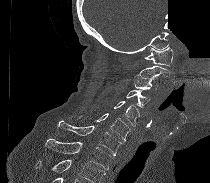 CT · sagittal view · 210x183 px · part of the scan has been removed (filled with constant black)
Where the bottom of the scan cuts through a vertebra, that vertebra gets no label or box.
<vertebrae><v name="T1" x1="45" y1="139" x2="113" y2="170"/><v name="C7" x1="56" y1="120" x2="121" y2="155"/><v name="C6" x1="79" y1="113" x2="130" y2="143"/><v name="C5" x1="114" y1="101" x2="139" y2="126"/><v name="C4" x1="126" y1="89" x2="150" y2="108"/><v name="C3" x1="133" y1="78" x2="158" y2="89"/><v name="C2" x1="133" y1="66" x2="169" y2="78"/><v name="C1" x1="144" y1="47" x2="173" y2="66"/></vertebrae>